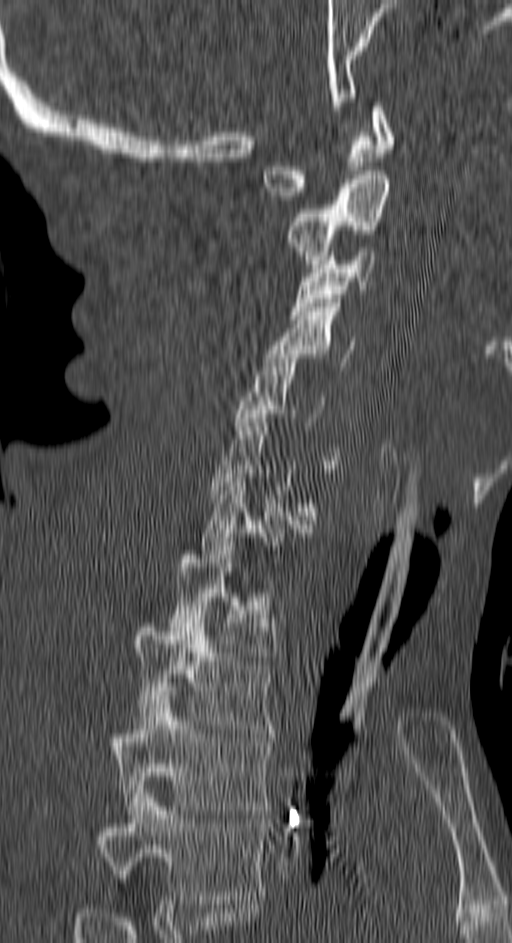
Spine CT. sagittal view. 512x943 px
Boxes: x1 y1 x2 y2 (pixel coords, space-separated). Not every vertebra on this slice has a box: a vertebra is boxed only from the first to the last slice where its cross-section is at least a third of its largest, and this slice is outside that range for at least one of them. Labels in this scan begin with C1 at the top and end with T4 at the bottom. 10 vertebrae labeled — T4 at 100 789 266 904; T3 at 114 691 270 814; T2 at 134 614 273 733; T1 at 168 542 277 660; C7 at 199 474 308 584; C5 at 235 354 342 473; C4 at 266 303 355 366; C3 at 291 247 376 319; C2 at 285 171 389 268; C1 at 264 102 393 200.